CT · Sagittal slice 294/512 · Bone window (WL 400, WW 1800) · the image spans 149 mm across
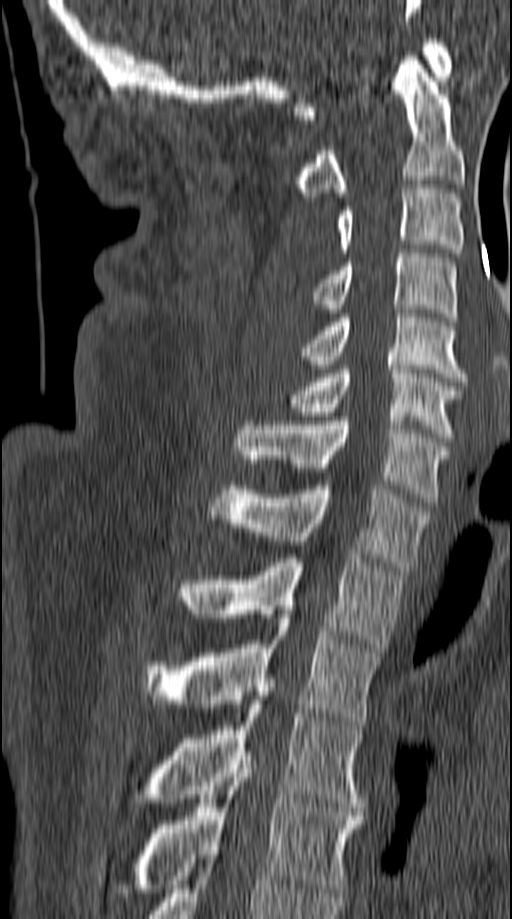 Boxes: x1 y1 x2 y2 (pixel coords, space-separated). Vertebrae labeled: C1 at 293 39 451 119, C2 at 293 56 464 197, C3 at 335 185 464 257, C4 at 313 249 457 321, C5 at 303 305 467 381, C6 at 286 365 462 441, C7 at 235 417 450 502, T1 at 207 481 426 570, T2 at 180 554 402 652, T3 at 142 614 378 725, T4 at 128 692 364 811, T5 at 137 756 364 892.